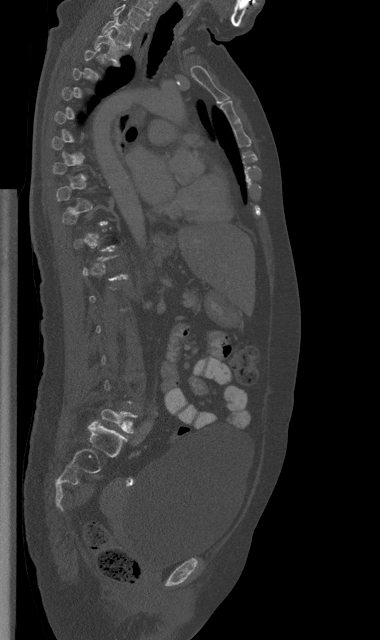

CT spine; sagittal reformat
Each row gives a vertebra's box as x1, y1, x2, y2 in pixels: top-left corner, then bottom-right corner.
A vertebra gets a box only on the slices from the first to the last where its cross-section is at least a third of its largest; on a slice outside that range it gets none.
| vertebra | x1 | y1 | x2 | y2 |
|---|---|---|---|---|
| C7 | 113 | 4 | 146 | 29 |
| T1 | 102 | 16 | 134 | 45 |
| T2 | 94 | 30 | 124 | 64 |
| L5 | 101 | 409 | 136 | 432 |